Spine computed tomography; 373 mm across the image; Sagittal slice 245/512
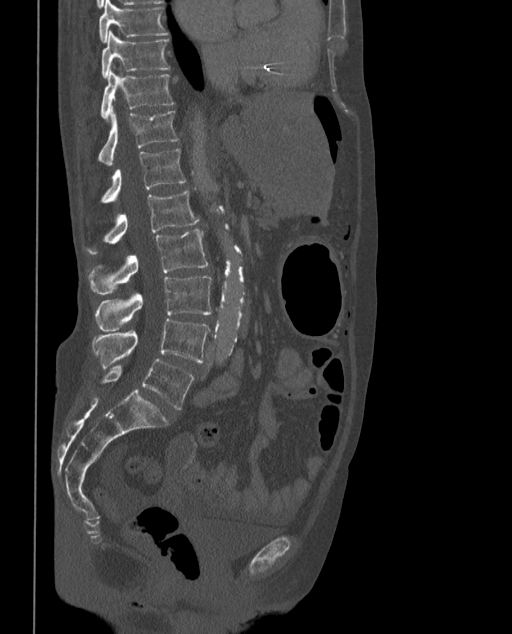 In these labels the spine has an L6, a sixth lumbar vertebra below L5.
<vertebrae><v name="T9" x1="99" y1="0" x2="169" y2="42"/><v name="T10" x1="101" y1="31" x2="169" y2="78"/><v name="T11" x1="100" y1="70" x2="175" y2="120"/><v name="T12" x1="97" y1="111" x2="179" y2="165"/><v name="L1" x1="99" y1="149" x2="185" y2="203"/><v name="L2" x1="84" y1="190" x2="199" y2="253"/><v name="L3" x1="88" y1="229" x2="207" y2="294"/><v name="L4" x1="95" y1="275" x2="212" y2="331"/><v name="L5" x1="92" y1="319" x2="209" y2="370"/><v name="L6" x1="100" y1="359" x2="194" y2="409"/></vertebrae>